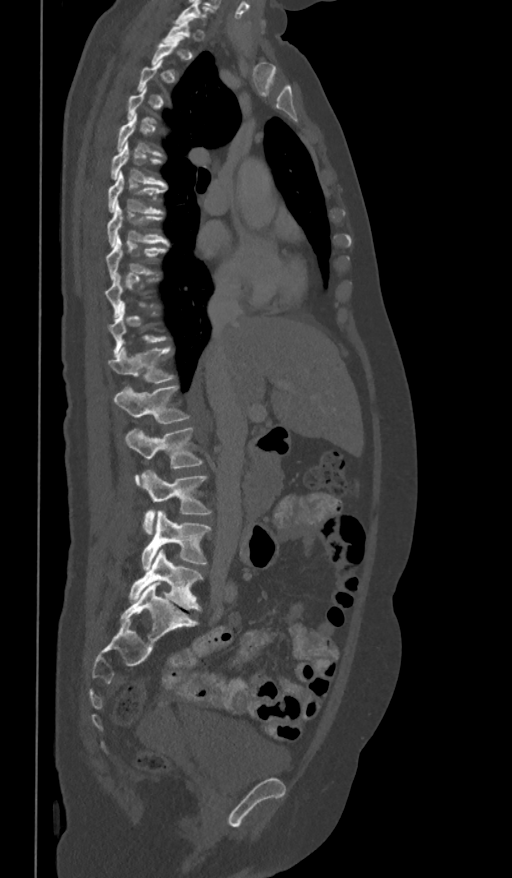 CT, spine · sagittal view. Boxes are (x1, y1, x2, y2) in pixels.
Not every vertebra on this slice has a box: a vertebra is boxed only from the first to the last slice where its cross-section is at least a third of its largest, and this slice is outside that range for at least one of them.
Vertebra bounding boxes:
- L5: (129, 549, 203, 610)
- L4: (142, 511, 210, 570)
- L3: (142, 470, 212, 534)
- L2: (125, 428, 203, 485)
- L1: (113, 387, 189, 424)
- T12: (108, 348, 175, 382)
- T9: (105, 237, 166, 280)
- T8: (106, 202, 168, 247)
- T7: (108, 172, 166, 213)
- T6: (110, 142, 166, 185)